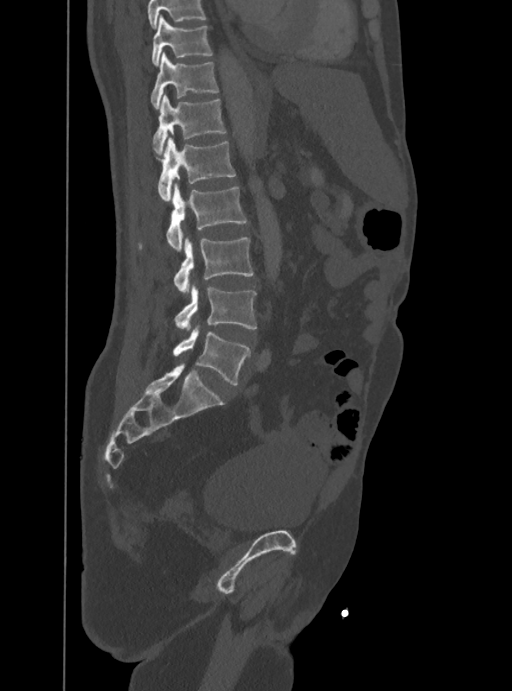
Spine computed tomography — sagittal view — W/L 1800/400 HU — 512x691 px
A vertebra cut off by the top edge of the scan is not labeled and has no box.
<vertebrae><v name="L5" x1="173" y1="325" x2="250" y2="384"/><v name="L4" x1="174" y1="285" x2="256" y2="329"/><v name="L3" x1="174" y1="238" x2="254" y2="294"/><v name="L2" x1="166" y1="182" x2="247" y2="251"/><v name="L1" x1="158" y1="137" x2="235" y2="201"/><v name="T12" x1="153" y1="94" x2="226" y2="153"/><v name="T11" x1="150" y1="52" x2="218" y2="108"/><v name="T10" x1="152" y1="15" x2="211" y2="67"/></vertebrae>